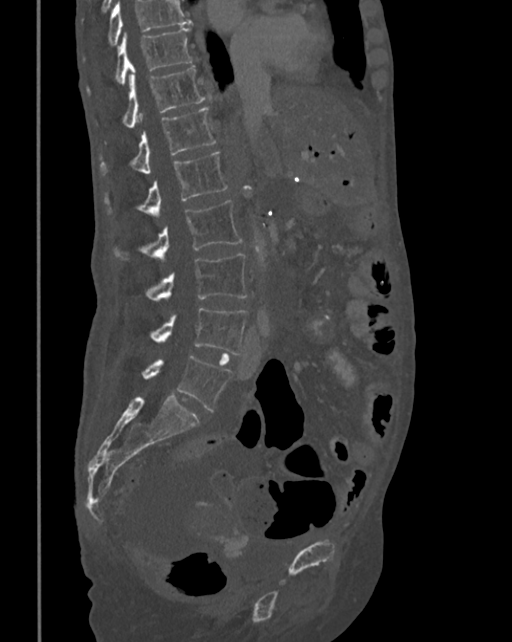

CT, spine — sagittal view — bone window — 512x642 px — image width 342 mm
Where the top of the scan cuts through a vertebra, that vertebra gets no label or box.
<vertebrae><v name="T10" x1="85" y1="26" x2="194" y2="93"/><v name="T11" x1="96" y1="66" x2="204" y2="128"/><v name="T12" x1="100" y1="107" x2="216" y2="175"/><v name="L1" x1="103" y1="152" x2="226" y2="215"/><v name="L2" x1="112" y1="199" x2="243" y2="260"/><v name="L3" x1="143" y1="254" x2="247" y2="301"/><v name="L4" x1="149" y1="307" x2="247" y2="354"/><v name="L5" x1="142" y1="355" x2="232" y2="411"/></vertebrae>